Spine CT; Sagittal slice 43/67; scan covers 8 annotated vertebrae
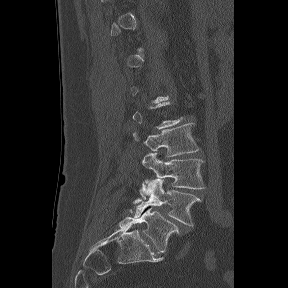

A vertebra is boxed only from the first to the last slice where its cross-section is at least a third of its largest; slices outside that range leave it without a box.
The labels name a sixth lumbar vertebra for this spine: L6, after L5.
<vertebrae><v name="L3" x1="133" y1="123" x2="199" y2="156"/><v name="L4" x1="140" y1="153" x2="205" y2="199"/><v name="L5" x1="133" y1="179" x2="201" y2="226"/><v name="L6" x1="119" y1="208" x2="179" y2="252"/></vertebrae>